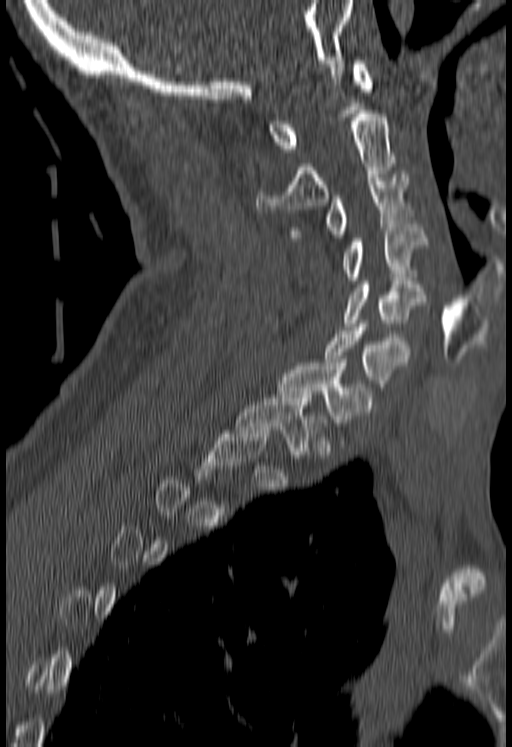 Spine computed tomography · image 180 mm wide · sagittal view · W/L 1800/400 HU · 512x747 px
Each box is [x1, y1, x2, y2] in pixels: top-left corner, then bottom-right corner.
A vertebra is boxed only from the first to the last slice where its cross-section is at least a third of its largest; slices outside that range leave it without a box.
{"vertebrae":{"C1":[268,60,373,152],"C2":[257,114,395,212],"C3":[291,174,410,237],"C4":[342,224,427,283],"C5":[342,281,426,326],"C6":[324,324,410,390],"C7":[275,363,375,426],"T1":[235,395,326,458]}}